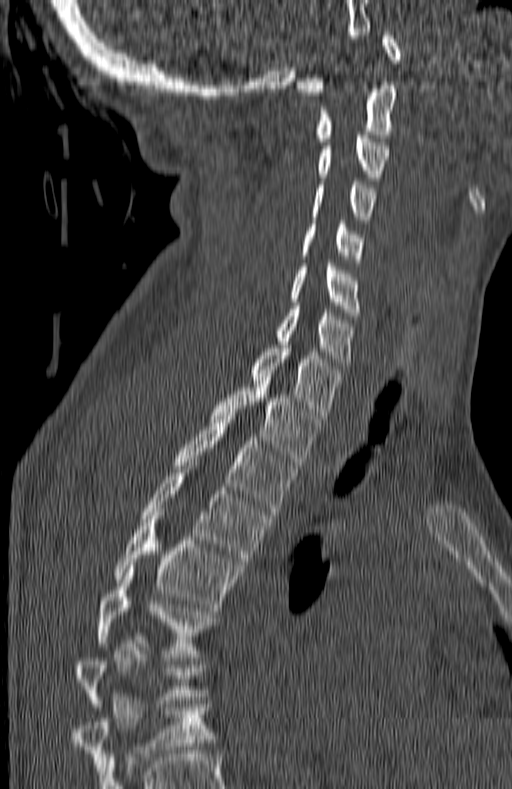
Spine computed tomography · 180 mm image width · sagittal reformat · 512x789 px
Boxes below are [x1, y1, x2, y2] in pixels.
This scan's labels start at C1 at the top and end at T7 at the bottom.
{"vertebrae":{"C1":[297,32,401,95],"C2":[314,85,395,141],"C3":[318,135,390,180],"C4":[311,181,375,227],"C5":[302,224,364,266],"C6":[291,260,361,315],"C7":[274,306,353,369],"T1":[251,341,341,419],"T2":[211,380,321,465],"T3":[174,416,296,515],"T4":[140,469,273,564],"T5":[115,512,242,611],"T6":[97,569,216,657],"T7":[75,640,199,710]}}